CT, spine; sagittal reformat; bone-window reconstruction
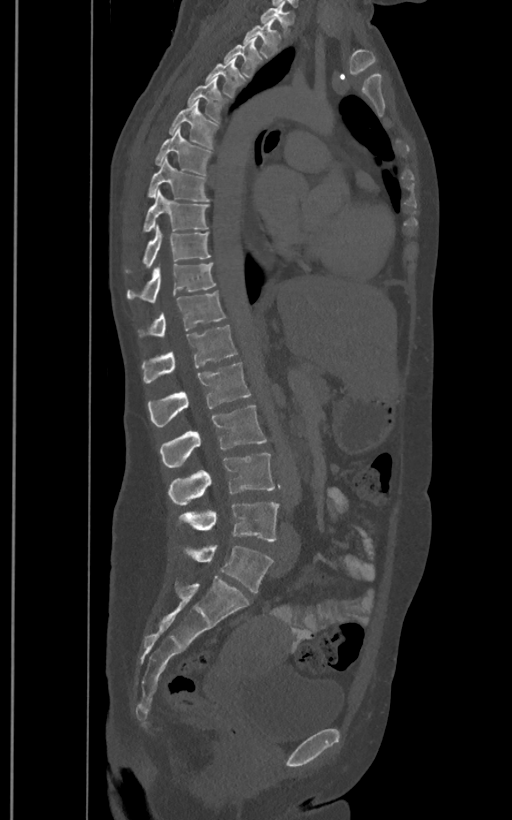

Each box is [x1, y1, x2, y2] in pixels: top-left corner, then bottom-right corner.
The labels name a sixth lumbar vertebra for this spine: L6, after L5.
{"vertebrae":{"T1":[260,6,293,35],"T2":[243,18,281,58],"T3":[224,38,263,77],"T4":[205,56,244,96],"T5":[187,77,225,122],"T6":[169,100,218,148],"T7":[155,127,211,175],"T8":[147,158,209,201],"T9":[143,189,209,232],"T10":[125,225,210,273],"T11":[127,263,216,302],"T12":[138,291,225,337],"L1":[142,325,237,383],"L2":[147,362,251,426],"L3":[160,406,266,468],"L4":[168,453,275,505],"L5":[178,503,279,542],"L6":[184,545,273,592]}}